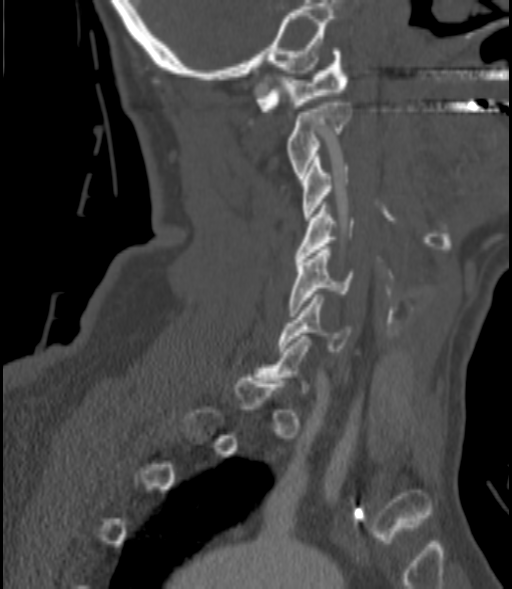 CT spine — sagittal view — 512x589 px
A vertebra gets a box only on the slices from the first to the last where its cross-section is at least a third of its largest; on a slice outside that range it gets none.
<vertebrae><v name="C1" x1="256" y1="48" x2="348" y2="111"/><v name="C2" x1="288" y1="99" x2="351" y2="178"/><v name="C3" x1="303" y1="157" x2="348" y2="220"/><v name="C4" x1="294" y1="205" x2="353" y2="261"/><v name="C5" x1="290" y1="246" x2="354" y2="313"/><v name="C6" x1="277" y1="294" x2="351" y2="351"/></vertebrae>